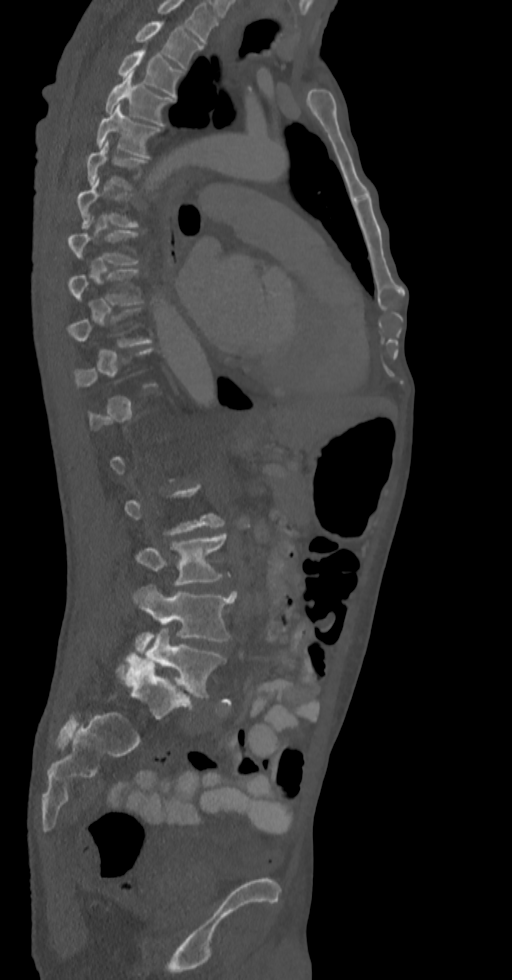
CT — sagittal view — bone window
Boxes: x1 y1 x2 y2 (pixel coords, space-separated). Not every vertebra on this slice has a box: a vertebra is boxed only from the first to the last slice where its cross-section is at least a third of its largest, and this slice is outside that range for at least one of them. This scan's labels start at T2 at the top and end at L5 at the bottom. Vertebrae labeled: L5 at 126 628 226 697, L4 at 132 585 235 651, L3 at 137 533 226 584, T8 at 67 224 137 264, T5 at 96 105 159 156, T4 at 105 73 174 125, T3 at 119 47 182 97, T2 at 135 21 201 69.